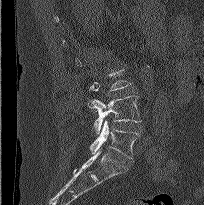
CT, spine — sagittal view — 204 mm image width — bone window — 204x205 px

Boxes are (x1, y1, x2, y2) in pixels.
Not every vertebra on this slice has a box: a vertebra is boxed only from the first to the last slice where its cross-section is at least a third of its largest, and this slice is outside that range for at least one of them.
L4: (87, 95, 141, 133)
L5: (90, 120, 139, 159)